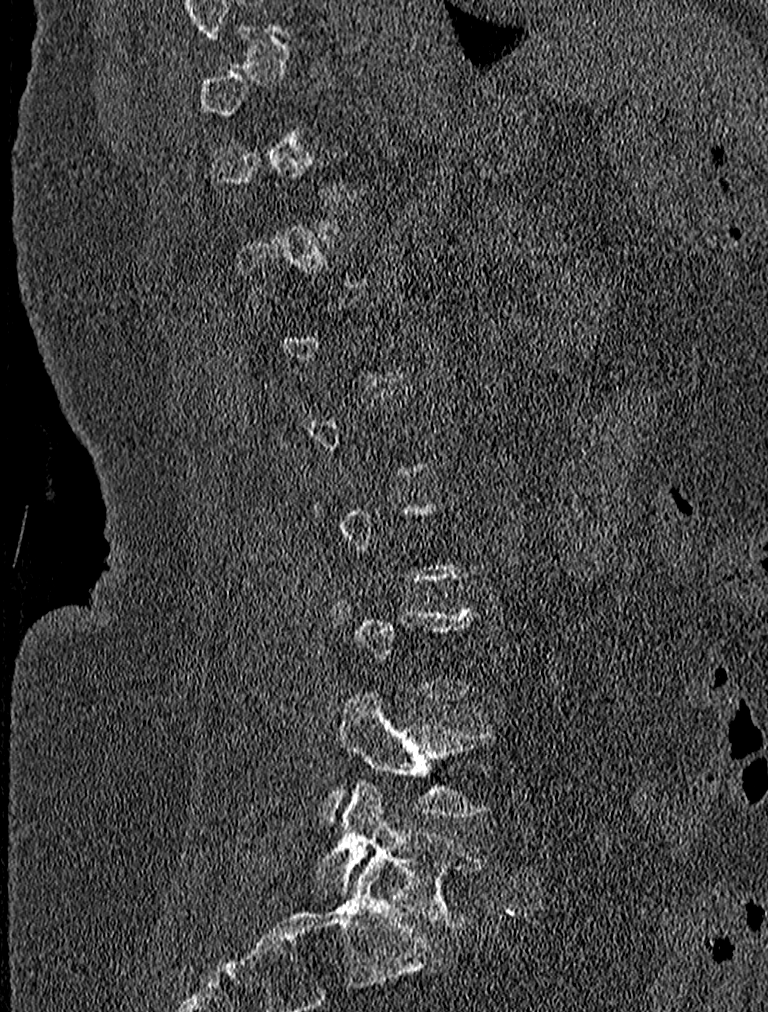

Spine CT; sagittal view

Box values are [left, top, right, bottom] in pixels.
Not every vertebra on this slice has a box: a vertebra is boxed only from the first to the last slice where its cross-section is at least a third of its largest, and this slice is outside that range for at least one of them.
{"vertebrae":{"L4":[324,688,500,826],"L5":[313,779,485,928]}}